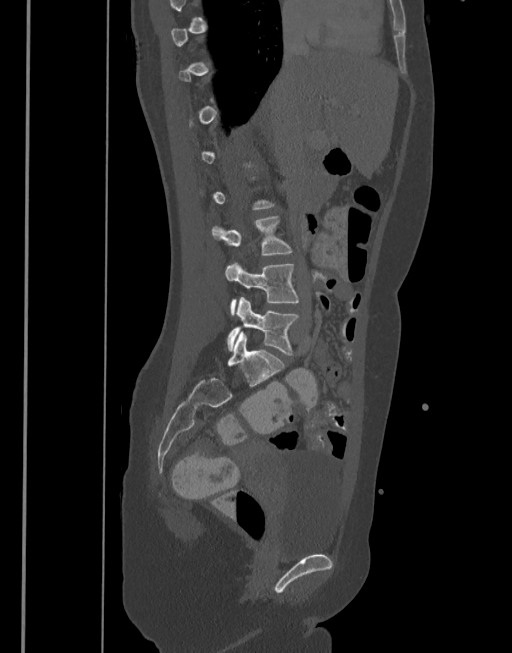
Spine computed tomography · sagittal view · 512x653 px
Each vertebra maps to its box as [x1, y1, x2, y2], the pixel coordinates of its top-left and bottom-right corners.
Each vertebra is boxed only on the slices from the first to the last where its cross-section reaches a third of its largest, so a slice outside that range leaves it unboxed.
{"vertebrae":{"L3":[212,216,292,254],"L4":[225,262,298,314],"L5":[226,297,299,355]}}